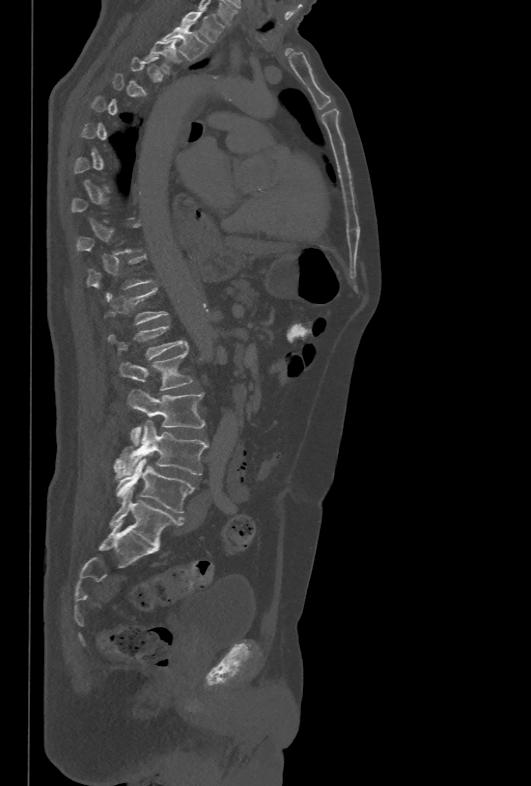
CT, spine · sagittal view · image width 478 mm · bone-window reconstruction
Box values are [left, top, right, bottom] in pixels.
Not every vertebra on this slice has a box: a vertebra is boxed only from the first to the last slice where its cross-section is at least a third of its largest, and this slice is outside that range for at least one of them.
{"vertebrae":{"T1":[179,10,223,42],"T2":[162,27,208,61],"T3":[144,38,181,73],"L1":[108,325,183,359],"L2":[119,341,193,391],"L3":[128,389,204,445],"L4":[113,420,208,475],"L5":[115,457,194,513]}}